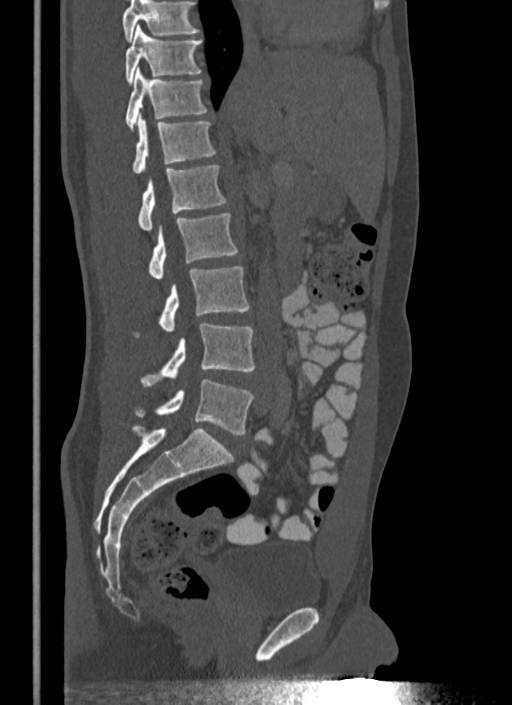 Computed tomography of the spine; sagittal view
No box is given to a vertebra that the top edge of the scan cuts off.
<vertebrae><v name="L5" x1="137" y1="379" x2="253" y2="434"/><v name="L4" x1="141" y1="322" x2="255" y2="386"/><v name="L3" x1="159" y1="267" x2="249" y2="332"/><v name="L2" x1="149" y1="214" x2="237" y2="279"/><v name="L1" x1="138" y1="166" x2="226" y2="231"/><v name="T12" x1="132" y1="113" x2="216" y2="174"/><v name="T11" x1="126" y1="68" x2="207" y2="130"/><v name="T10" x1="125" y1="24" x2="202" y2="83"/></vertebrae>